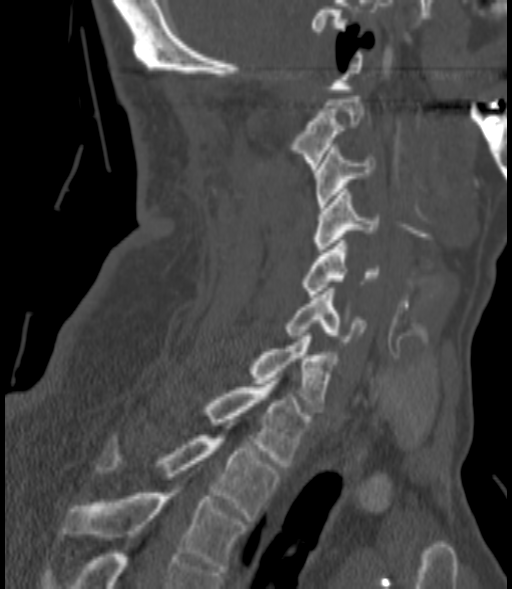

Spine computed tomography. sagittal view. W/L 1800/400 HU. the image spans 200 mm across
Each row gives a vertebra's box as x1, y1, x2, y2 in pixels: top-left corner, then bottom-right corner.
| vertebra | x1 | y1 | x2 | y2 |
|---|---|---|---|---|
| C2 | 290 | 96 | 363 | 169 |
| C3 | 313 | 147 | 374 | 210 |
| C4 | 313 | 189 | 378 | 249 |
| C5 | 303 | 240 | 379 | 297 |
| C6 | 285 | 288 | 367 | 345 |
| C7 | 249 | 333 | 335 | 412 |
| T1 | 203 | 381 | 310 | 466 |
| T2 | 96 | 435 | 279 | 521 |
| T3 | 62 | 493 | 246 | 569 |